CT, spine; sagittal view; 512x609 px; 11 vertebrae labeled in this scan
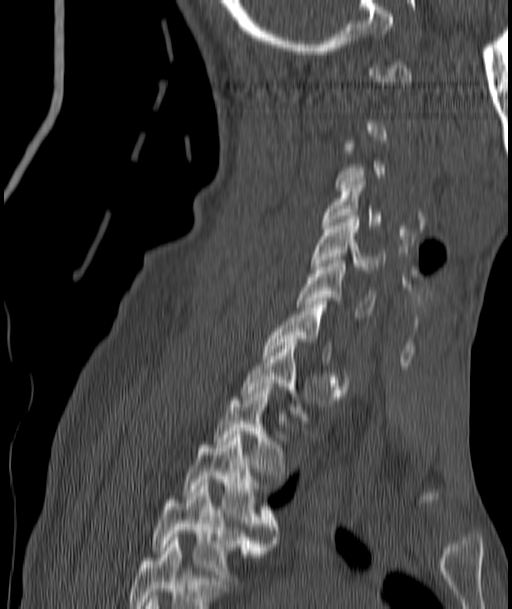

Boxes: x1:y1:x2:y2 in pixels. Not every vertebra on this slice has a box: a vertebra is boxed only from the first to the last slice where its cross-section is at least a third of its largest, and this slice is outside that range for at least one of them. The labeled vertebrae in this slice are: C4 at 324:178:380:228, C5 at 313:216:383:273, C6 at 297:260:375:317, C7 at 264:301:331:362, T2 at 214:387:285:478, T3 at 184:431:276:543, T4 at 151:486:265:581.